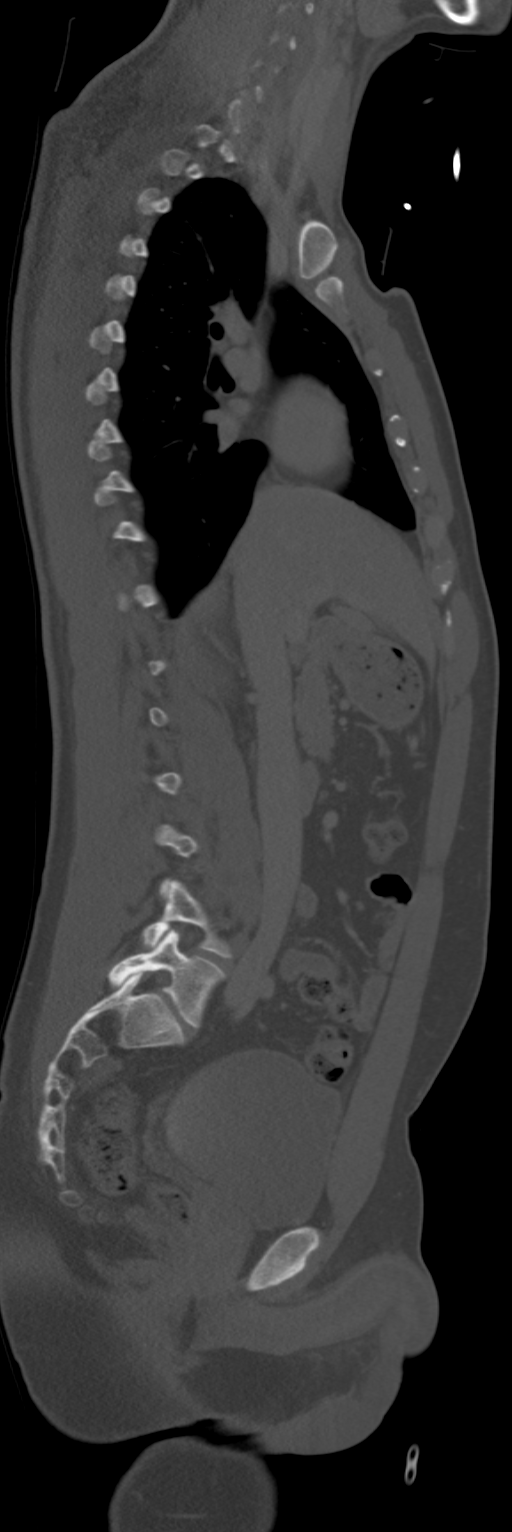

CT, spine — sagittal view — bone window
Each vertebra maps to its box as [x1, y1, x2, y2], the pixel coordinates of its top-left and bottom-right corners.
A vertebra gets a box only on the slices from the first to the last where its cross-section is at least a third of its largest; on a slice outside that range it gets none.
{"vertebrae":{"L4":[142,881,231,956],"L5":[108,930,225,1027]}}